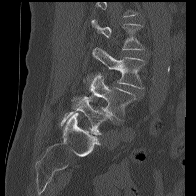 CT — sagittal view — bone-window reconstruction — 196 mm wide. Coordinates as <box>x1,y1,x2,y2</box>. Where the top of the scan cuts through a vertebra, that vertebra gets no label or box. 4 vertebrae labeled — L5 at <box>61,98,111,135</box>; L4 at <box>72,73,136,120</box>; L3 at <box>92,47,146,88</box>; L2 at <box>91,19,145,50</box>.